Spine computed tomography · sagittal view · bone-window reconstruction · 173x184 px · part of the image is constant black where the scan was masked
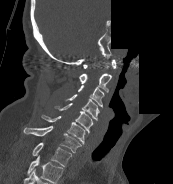
Box values are [left, top, right, bottom] in pixels.
The highest labeled vertebra in this scan is C1; the lowest is T1.
{"vertebrae":{"C1":[83,59,116,68],"C2":[79,73,111,92],"C3":[78,85,104,107],"C4":[65,94,99,120],"C5":[54,103,93,133],"C6":[40,114,85,144],"C7":[23,126,81,152],"T1":[32,142,72,166]}}